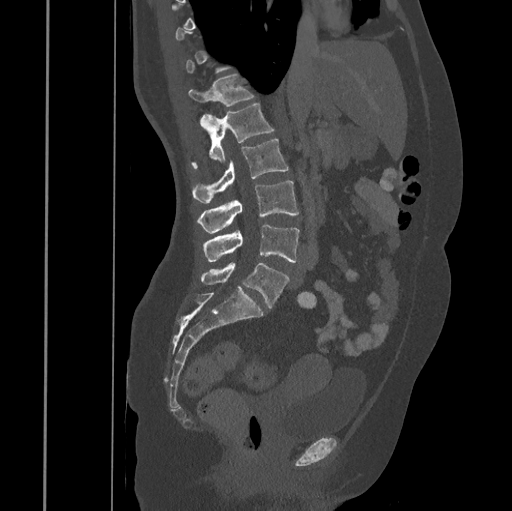 CT — 445 mm wide — sagittal view — 512x511 px
Box values are [left, top, right, bottom] in pixels.
Each vertebra is boxed only on the slices from the first to the last where its cross-section reaches a third of its largest, so a slice outside that range leaves it unboxed.
{"vertebrae":{"L5":[201,262,289,308],"L4":[202,224,299,262],"L3":[198,180,299,232],"L2":[192,139,289,202],"L1":[200,104,274,163],"T12":[189,75,253,106]}}